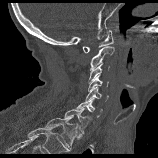
Spine CT — sagittal view — 158x158 px
<vertebrae><v name="C1" x1="82" y1="30" x2="113" y2="53"/><v name="C2" x1="90" y1="45" x2="114" y2="71"/><v name="C3" x1="88" y1="62" x2="109" y2="84"/><v name="C4" x1="88" y1="74" x2="108" y2="91"/><v name="C5" x1="85" y1="87" x2="108" y2="101"/><v name="C6" x1="77" y1="97" x2="102" y2="117"/><v name="C7" x1="64" y1="108" x2="92" y2="133"/><v name="T1" x1="45" y1="118" x2="78" y2="150"/></vertebrae>